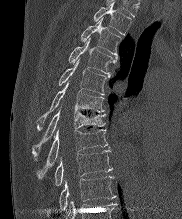
CT — sagittal view
Coordinates as <box>x1,y1,x2,y2</box>. The labeled vertebrae in this slice are: T2 at <box>93,2,131,34</box>, T3 at <box>81,18,121,57</box>, T4 at <box>69,38,116,76</box>, T5 at <box>59,58,107,94</box>, T6 at <box>37,81,104,130</box>, T7 at <box>32,106,105,159</box>, T8 at <box>38,129,107,177</box>, T9 at <box>54,149,112,185</box>, T10 at <box>59,176,115,209</box>.